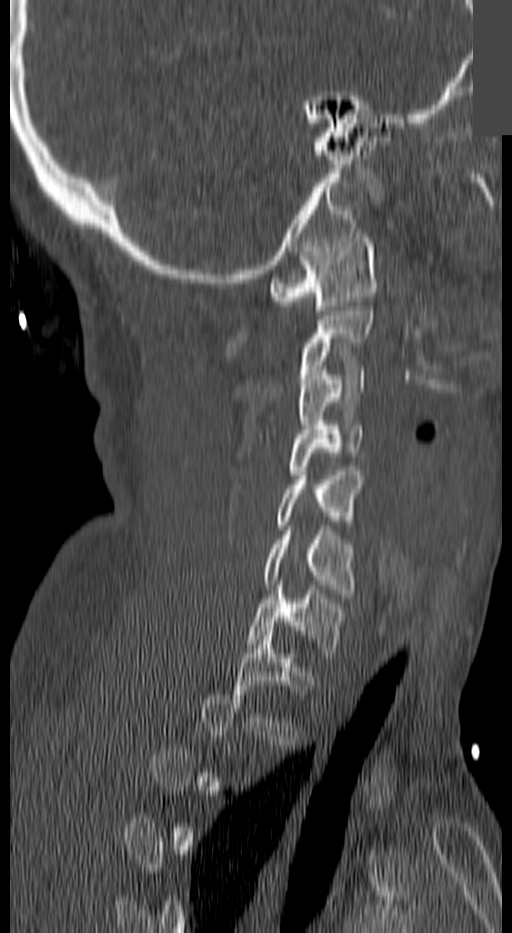
Spine computed tomography; sagittal view; bone-window reconstruction; 512x933 px; a uniform gray block covers part of the image
Box values are [left, top, right, bottom] in pixels.
Each vertebra is boxed only on the slices from the first to the last where its cross-section reaches a third of its largest, so a slice outside that range leaves it unboxed.
{"vertebrae":{"C1":[268,233,377,310],"C3":[298,370,366,433],"C4":[290,421,362,479],"C5":[276,471,362,529],"C6":[265,526,355,593],"C7":[246,581,344,653]}}